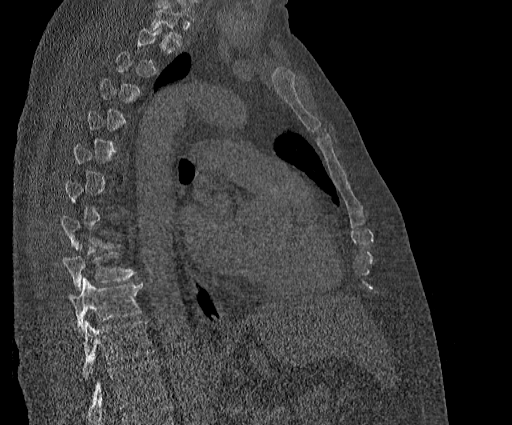

Spine computed tomography · sagittal view · bone window
In the table, x1 and y1 are a box's top-left corner and x2 and y2 its bottom-right corner, in pixels.
Not every vertebra on this slice has a box: a vertebra is boxed only from the first to the last slice where its cross-section is at least a third of its largest, and this slice is outside that range for at least one of them.
The highest labeled vertebra in this scan is T2; the lowest is T11.
| vertebra | x1 | y1 | x2 | y2 |
|---|---|---|---|---|
| T9 | 62 | 244 | 136 | 290 |
| T10 | 70 | 279 | 143 | 332 |
| T11 | 82 | 321 | 153 | 379 |